Computed tomography of the spine; image width 179 mm; sagittal reformat; bone-window reconstruction; 179x692 px
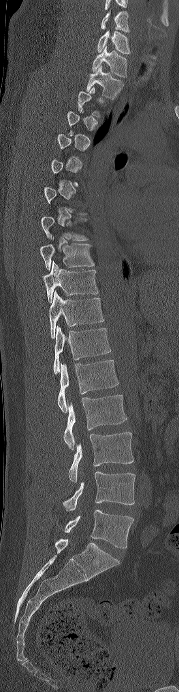 Each box given as x1,y1,x2,y2.
A vertebra is boxed only from the first to the last slice where its cross-section is at least a third of its largest; slices outside that range leave it without a box.
This scan's labels start at C6 at the top and end at L5 at the bottom.
Vertebra bounding boxes:
- C6: x1=101, y1=10, x2=129, y2=32
- C7: x1=97, y1=30, x2=130, y2=54
- T1: x1=92, y1=46, x2=126, y2=77
- T2: x1=86, y1=65, x2=123, y2=99
- T8: x1=41, y1=216, x2=88, y2=240
- T9: x1=40, y1=237, x2=94, y2=269
- T10: x1=43, y1=261, x2=98, y2=302
- T11: x1=48, y1=291, x2=104, y2=338
- T12: x1=53, y1=326, x2=111, y2=374
- L1: x1=57, y1=360, x2=118, y2=412
- L2: x1=63, y1=395, x2=127, y2=449
- L3: x1=69, y1=432, x2=133, y2=482
- L4: x1=63, y1=471, x2=135, y2=511
- L5: x1=64, y1=510, x2=133, y2=548